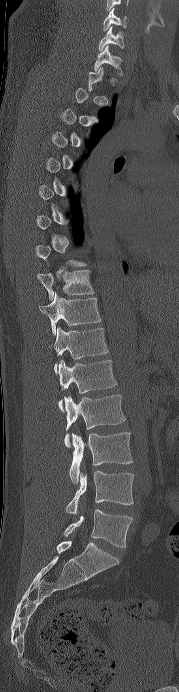

Computed tomography of the spine; sagittal view. Columns x1, y1, x2, y2 give each box's top-left and bottom-right pixels.
A vertebra gets a box only on the slices from the first to the last where its cross-section is at least a third of its largest; on a slice outside that range it gets none.
| vertebra | x1 | y1 | x2 | y2 |
|---|---|---|---|---|
| C6 | 103 | 8 | 126 | 31 |
| C7 | 98 | 26 | 123 | 51 |
| T1 | 94 | 45 | 122 | 75 |
| T10 | 37 | 270 | 94 | 299 |
| T11 | 39 | 292 | 101 | 334 |
| T12 | 51 | 326 | 108 | 372 |
| L1 | 58 | 360 | 117 | 411 |
| L2 | 64 | 395 | 125 | 447 |
| L3 | 69 | 432 | 132 | 483 |
| L4 | 66 | 471 | 133 | 514 |
| L5 | 64 | 509 | 132 | 548 |